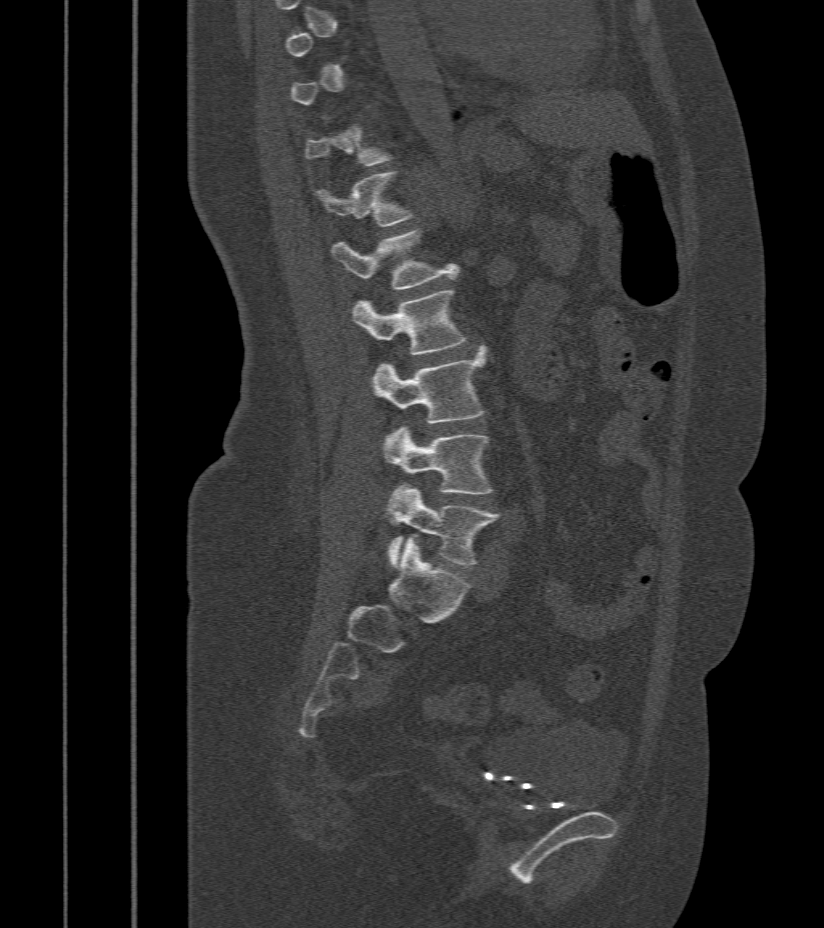

Computed tomography of the spine; sagittal reformat; 824x928 px
Bounding boxes as [x1, y1, x2, y2] in pixel coordinates.
Each vertebra is boxed only on the slices from the first to the last where its cross-section reaches a third of its largest, so a slice outside that range leaves it unboxed.
L5: [388, 485, 500, 566]
L4: [383, 427, 493, 494]
L3: [370, 349, 485, 424]
L2: [352, 291, 464, 354]
L1: [332, 231, 459, 290]
T12: [315, 173, 413, 226]